Spine computed tomography — sagittal view — W/L 1800/400 HU — 512x827 px
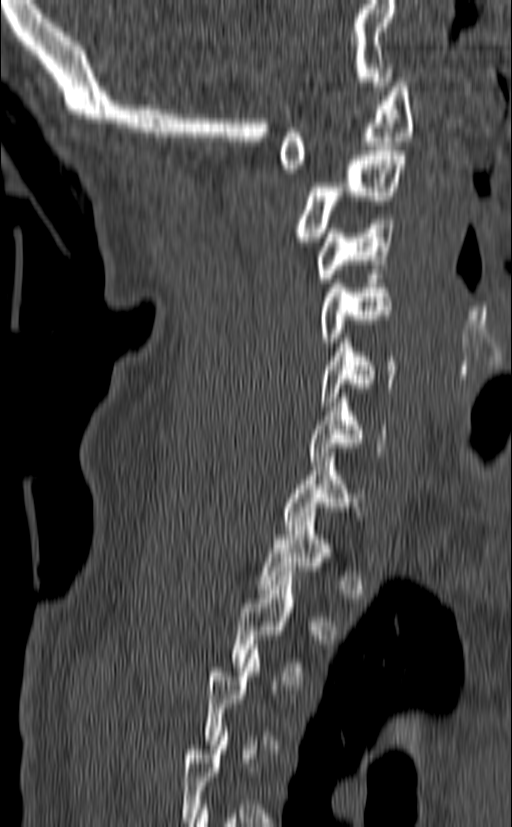
Box edges are left/top/right/bottom in pixels.
A vertebra is boxed only from the first to the last slice where its cross-section is at least a third of its largest; slices outside that range leave it without a box.
| vertebra | x1 | y1 | x2 | y2 |
|---|---|---|---|---|
| C1 | 279 | 78 | 413 | 173 |
| C2 | 294 | 146 | 406 | 246 |
| C3 | 316 | 219 | 394 | 282 |
| C4 | 320 | 274 | 393 | 346 |
| C5 | 319 | 338 | 395 | 406 |
| C6 | 309 | 393 | 387 | 461 |
| C7 | 283 | 453 | 363 | 534 |
| T1 | 258 | 512 | 341 | 593 |
| T2 | 231 | 571 | 307 | 680 |